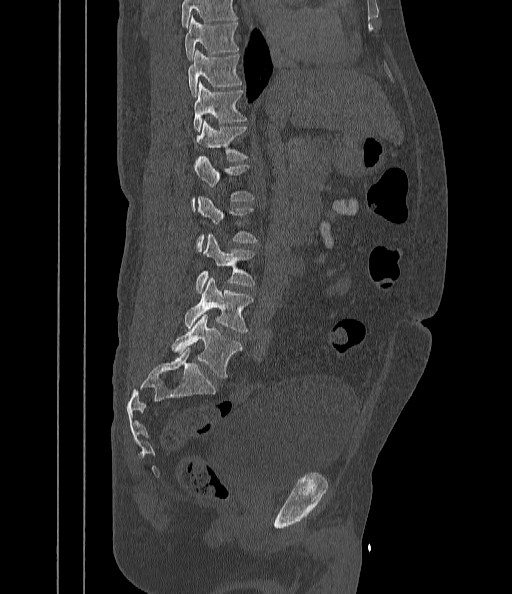

Computed tomography of the spine. sagittal view. 442 mm image width
Boxes are (x1, y1, x2, y2) in pixels.
Where the top of the scan cuts through a vertebra, that vertebra gets no label or box.
Vertebra bounding boxes:
- L5: (171, 314, 242, 378)
- L4: (184, 278, 253, 333)
- L3: (196, 235, 255, 293)
- L2: (197, 196, 257, 251)
- L1: (192, 156, 254, 206)
- T12: (197, 120, 247, 161)
- T11: (193, 82, 247, 131)
- T10: (188, 50, 241, 96)
- T9: (185, 16, 238, 60)